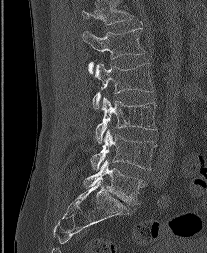 Spine CT; sagittal reformat
Each box given as x1,y1,x2,y2.
The highest labeled vertebra in this scan is L1; the lowest is L5.
L1: x1=82, y1=28, x2=144, y2=69
L2: x1=93, y1=63, x2=153, y2=109
L3: x1=95, y1=97, x2=156, y2=142
L4: x1=91, y1=129, x2=156, y2=170
L5: x1=84, y1=159, x2=143, y2=204